Computed tomography of the spine; Sagittal slice 216/512; Bone window (WL 400, WW 1800); 512x747 px; 12 vertebrae labeled in this scan
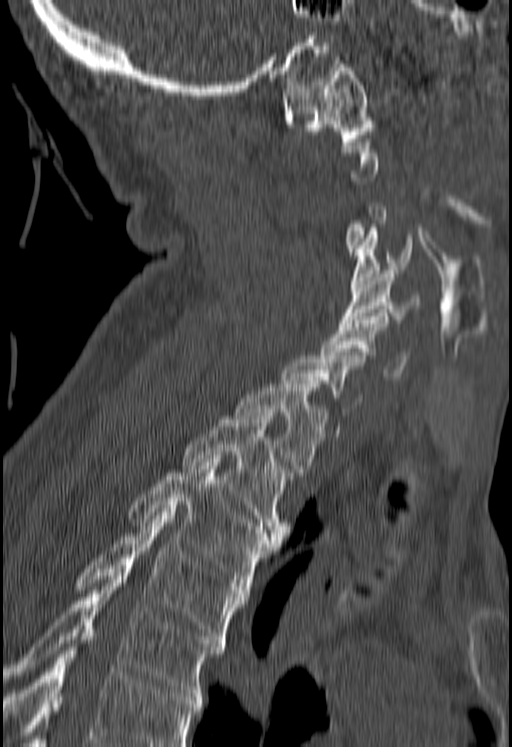
Each box is [x1, y1, x2, y2] in pixels: top-left corner, then bottom-right corner.
A vertebra is boxed only from the first to the last slice where its cross-section is at least a third of its largest; slices outside that range leave it without a box.
No box is given to a vertebra that the bottom edge of the scan cuts off.
{"vertebrae":{"T5":[3,572,225,696],"T4":[75,512,245,643],"T3":[129,459,279,589],"T2":[181,416,290,539],"T1":[235,384,329,475],"C6":[319,316,409,379],"C5":[338,270,419,326],"C4":[350,228,412,291],"C1":[283,60,373,141]}}